Spine computed tomography · sagittal plane, index 254 · bone window · 531x786 px
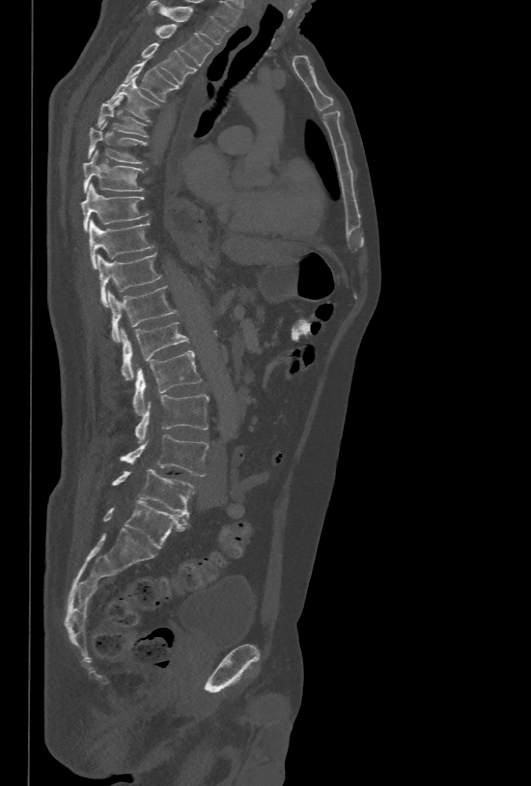
In the table, x1 and y1 are a box's top-left corner and x2 and y2 its bottom-right corner, in pixels.
| vertebra | x1 | y1 | x2 | y2 |
|---|---|---|---|---|
| T1 | 147 | 1 | 228 | 44 |
| T2 | 156 | 24 | 213 | 65 |
| T3 | 141 | 43 | 196 | 84 |
| T4 | 123 | 61 | 176 | 102 |
| T5 | 107 | 79 | 159 | 121 |
| T6 | 96 | 96 | 147 | 137 |
| T7 | 88 | 122 | 146 | 163 |
| T8 | 83 | 149 | 144 | 193 |
| T9 | 81 | 183 | 147 | 232 |
| T10 | 89 | 219 | 154 | 268 |
| T11 | 96 | 253 | 161 | 306 |
| T12 | 99 | 286 | 177 | 342 |
| L1 | 120 | 322 | 189 | 381 |
| L2 | 132 | 350 | 201 | 415 |
| L3 | 135 | 394 | 209 | 443 |
| L4 | 120 | 435 | 208 | 476 |
| L5 | 112 | 468 | 194 | 515 |